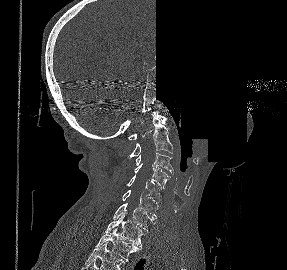 CT, spine — sagittal view — W/L 1800/400 HU — 287x270 px — a region is blanked to uniform black, ending in a straight edge
Coordinates as <box>x1,y1,x2,y2</box>. The labeled vertebrae in this slice are: T2 at <box>94,227,141,261</box>, T1 at <box>104,211,144,247</box>, C7 at <box>113,203,156,230</box>, C6 at <box>122,190,158,218</box>, C5 at <box>126,175,163,205</box>, C4 at <box>134,163,170,188</box>, C3 at <box>135,153,173,176</box>, C2 at <box>127,115,172,159</box>, C1 at <box>128,111,167,139</box>.